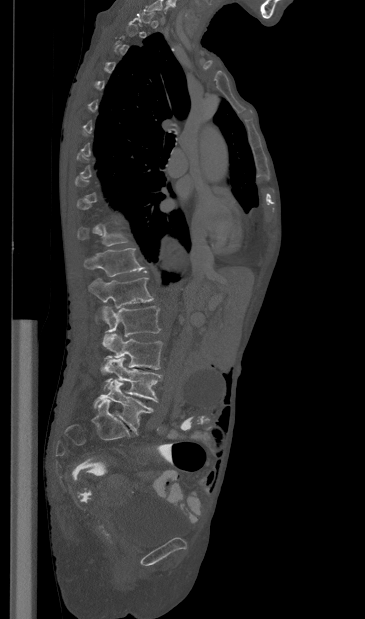 CT spine — sagittal view — W/L 1800/400 HU — 365x619 px
Coordinates as <box>x1,y1,x2,y2</box>. Each vertebra is boxed only on the slices from the first to the last where its cross-section reaches a third of its largest, so a slice outside that range leaves it unboxed. Vertebrae labeled: T12 at <box>84,248,146,276</box>, L1 at <box>89,278,153,308</box>, L2 at <box>102,306,160,337</box>, L3 at <box>101,333,162,372</box>, L4 at <box>104,358,161,402</box>, L5 at <box>93,380,153,434</box>.